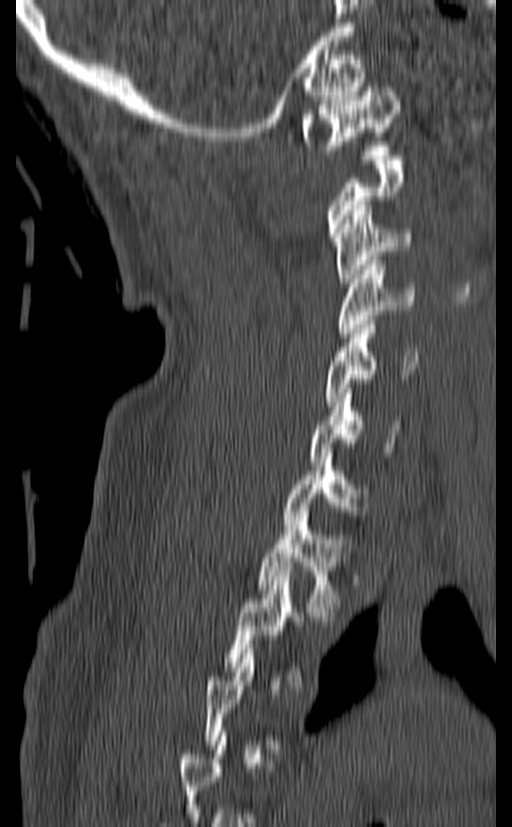
CT; image 140 mm wide; sagittal view; W/L 1800/400 HU; 512x827 px. Each box given as x1,y1,x2,y2.
Each vertebra is boxed only on the slices from the first to the last where its cross-section reaches a third of its largest, so a slice outside that range leaves it unboxed.
Vertebra bounding boxes:
- T2: x1=224, y1=571, x2=310, y2=685
- T1: x1=258, y1=512, x2=351, y2=616
- C7: x1=283, y1=453, x2=368, y2=529
- C6: x1=309, y1=384, x2=401, y2=465
- C5: x1=323, y1=320, x2=417, y2=406
- C4: x1=338, y1=261, x2=415, y2=337
- C3: x1=334, y1=206, x2=411, y2=287
- C1: x1=301, y1=82, x2=399, y2=154